CT spine. sagittal plane, index 249. the image spans 373 mm across. Bone window (WL 400, WW 1800)
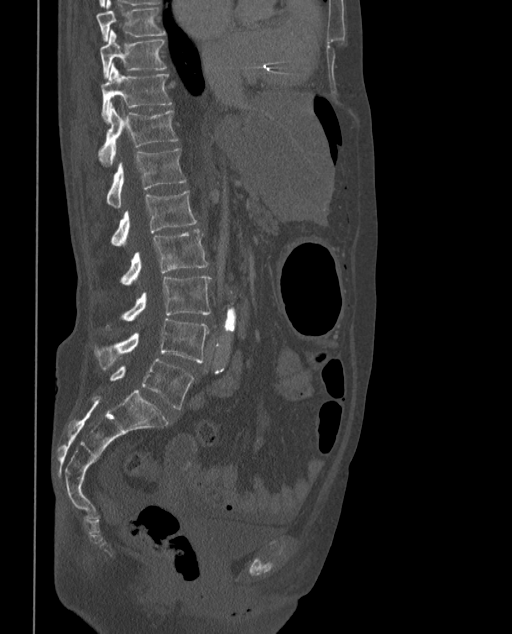
Coordinates as <box>x1,y1,x2,y2</box>.
In these labels the spine has an L6, a sixth lumbar vertebra below L5.
Vertebra bounding boxes:
- L6: <box>110,359,194,409</box>
- L5: <box>93,319,209,370</box>
- L4: <box>106,275,212,330</box>
- L3: <box>119,229,207,286</box>
- L2: <box>111,190,196,246</box>
- L1: <box>106,148,185,208</box>
- T12: <box>99,106,177,166</box>
- T11: <box>101,64,172,120</box>
- T10: <box>100,30,166,78</box>
- T9: <box>96,0,165,40</box>